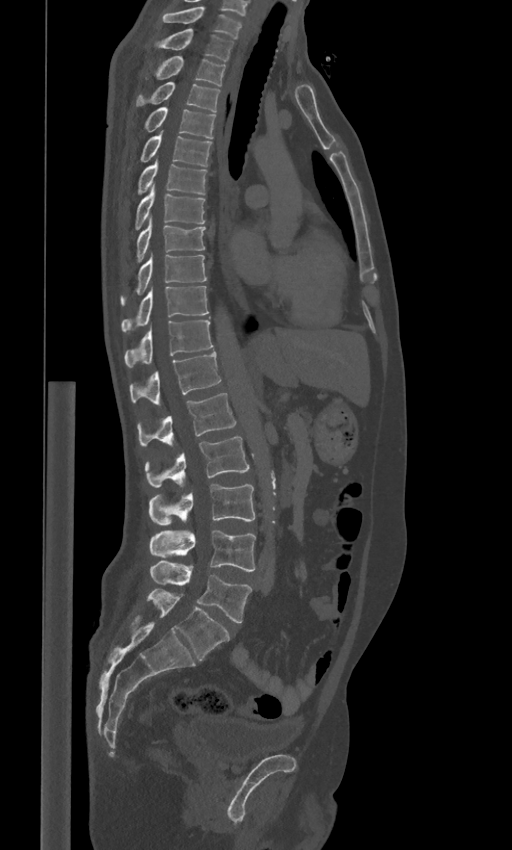 Spine computed tomography — sagittal reformat. Boxes: x1:y1:x2:y2 in pixels.
The labels name a sixth lumbar vertebra for this spine: L6, after L5.
C7: 159:6:242:39
T1: 158:28:234:60
T2: 156:56:225:86
T3: 136:82:220:111
T4: 144:107:215:138
T5: 141:130:212:165
T6: 137:160:206:194
T7: 135:185:205:229
T8: 136:216:205:262
T9: 120:253:207:305
T10: 121:286:208:332
T11: 125:319:213:367
T12: 129:352:221:405
L1: 137:393:236:446
L2: 144:436:249:487
L3: 149:484:254:524
L4: 149:529:255:571
L5: 150:561:251:622
L6: 148:589:229:660